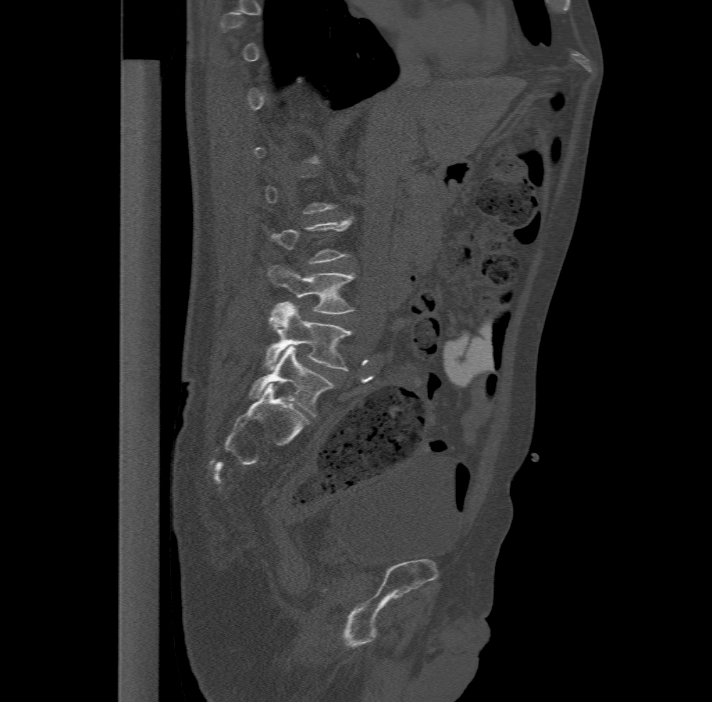

CT; 477 mm across the image; sagittal reformat; Bone window (WL 400, WW 1800)
Each vertebra is boxed only on the slices from the first to the last where its cross-section reaches a third of its largest, so a slice outside that range leaves it unboxed.
These labels give the spine a sixth lumbar vertebra, L6, below L5.
<vertebrae><v name="L4" x1="268" y1="264" x2="354" y2="312"/><v name="L5" x1="264" y1="301" x2="351" y2="370"/><v name="L6" x1="249" y1="346" x2="333" y2="416"/></vertebrae>